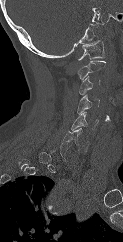
Computed tomography of the spine; sagittal view; bone window; image width 123 mm. Each box given as x1,y1,x2,y2.
Each vertebra is boxed only on the slices from the first to the last where its cross-section reaches a third of its largest, so a slice outside that range leaves it unboxed.
Vertebra bounding boxes:
- C1: x1=78, y1=40, x2=106, y2=60
- C2: x1=76, y1=60, x2=106, y2=79
- C3: x1=78, y1=76, x2=100, y2=94
- C4: x1=77, y1=95, x2=99, y2=114
- C5: x1=71, y1=112, x2=98, y2=130
- C6: x1=62, y1=128, x2=88, y2=151